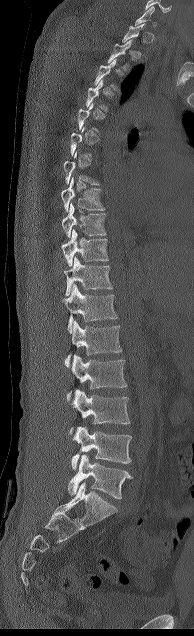

Spine CT · sagittal view · Bone window (WL 400, WW 1800)

Columns x1, y1, x2, y2 give each box's top-left and bottom-right pixels.
Not every vertebra on this slice has a box: a vertebra is boxed only from the first to the last slice where its cross-section is at least a third of its largest, and this slice is outside that range for at least one of them.
| vertebra | x1 | y1 | x2 | y2 |
|---|---|---|---|---|
| T8 | 61 | 177 | 104 | 211 |
| T9 | 62 | 203 | 106 | 237 |
| T10 | 61 | 229 | 108 | 266 |
| T11 | 64 | 257 | 112 | 296 |
| T12 | 62 | 284 | 117 | 334 |
| L1 | 65 | 320 | 122 | 366 |
| L2 | 67 | 354 | 127 | 401 |
| L3 | 70 | 389 | 130 | 432 |
| L4 | 71 | 426 | 131 | 469 |
| L5 | 68 | 454 | 133 | 499 |